Spine CT — sagittal plane, index 98 — 165x607 px
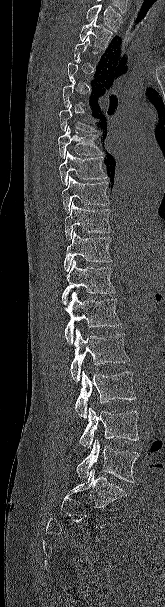

Each vertebra maps to its box as [x1, y1, x2, y2], the pixel coordinates of its top-left and bottom-right corners.
Not every vertebra on this slice has a box: a vertebra is boxed only from the first to the last slice where its cross-section is at least a third of its largest, and this slice is outside that range for at least one of them.
A vertebra cut off by the top edge of the scan is not labeled and has no box.
{"vertebrae":{"L5":[76,439,139,482],"L4":[79,407,139,448],"L3":[75,370,135,419],"L2":[70,329,129,383],"L1":[64,292,121,344],"T12":[61,260,115,305],"T11":[64,231,112,271],"T10":[64,202,112,240],"T9":[62,176,109,212],"T8":[59,151,107,185],"T7":[58,126,102,158],"T6":[59,103,98,131],"T2":[79,17,112,49]}}